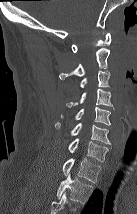
CT, spine; sagittal view; W/L 1800/400 HU

Bounding boxes as [x1, y1, x2, y2] in pixel coordinates. This scan's labels start at C1 at the top and end at T2 at the bottom. 9 vertebrae labeled — C1 at [71, 33, 111, 52]; C2 at [59, 48, 109, 79]; C3 at [80, 70, 110, 87]; C4 at [66, 89, 115, 110]; C5 at [60, 106, 110, 125]; C6 at [55, 122, 110, 144]; C7 at [68, 138, 108, 161]; T1 at [62, 158, 102, 183]; T2 at [57, 174, 92, 203].